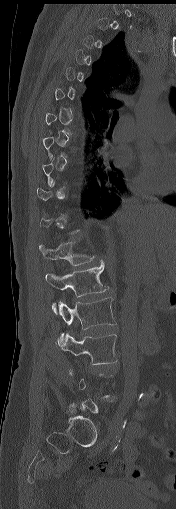 Spine CT; sagittal reformat; W/L 1800/400 HU; the image is 176 mm wide
Boxes below are [x1, y1, x2, y2] in pixels.
A vertebra is boxed only from the first to the last slice where its cross-section is at least a third of its largest; slices outside that range leave it without a box.
{"vertebrae":{"T12":[39,241,95,265],"L1":[45,260,109,314],"L2":[58,297,115,344],"L3":[57,333,116,364]}}